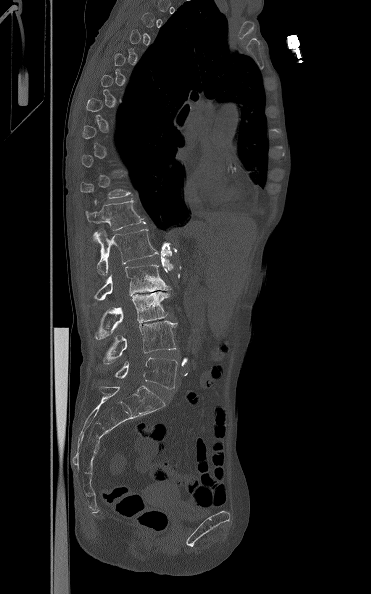 Spine computed tomography — sagittal view — bone window — 371x594 px

A vertebra gets a box only on the slices from the first to the last where its cross-section is at least a third of its largest; on a slice outside that range it gets none.
<vertebrae><v name="T12" x1="85" y1="198" x2="145" y2="230"/><v name="L1" x1="93" y1="229" x2="158" y2="276"/><v name="L2" x1="94" y1="264" x2="170" y2="302"/><v name="L3" x1="94" y1="292" x2="169" y2="339"/><v name="L4" x1="103" y1="321" x2="177" y2="364"/><v name="L5" x1="115" y1="357" x2="177" y2="389"/></vertebrae>